CT · Sagittal slice 201/512 · W/L 1800/400 HU · 556x678 px · 13 vertebrae labeled in this scan
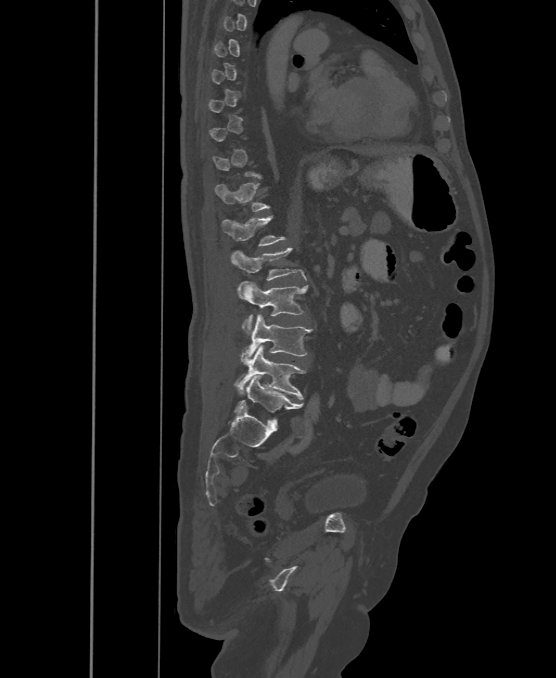 Each box given as x1,y1,x2,y2. A vertebra is boxed only from the first to the last slice where its cross-section is at least a third of its largest; slices outside that range leave it without a box. The labels name a sixth lumbar vertebra for this spine: L6, after L5. The labeled vertebrae in this slice are: T12 at x1=215, y1=183, x2=269, y2=211, L1 at x1=222, y1=216, x2=284, y2=246, L2 at x1=231, y1=247, x2=307, y2=280, L3 at x1=237, y1=281, x2=307, y2=333, L4 at x1=241, y1=315, x2=312, y2=364, L5 at x1=234, y1=345, x2=305, y2=399, L6 at x1=235, y1=376, x2=302, y2=424.